CT — Sagittal slice 273/512 — image width 350 mm — 512x935 px
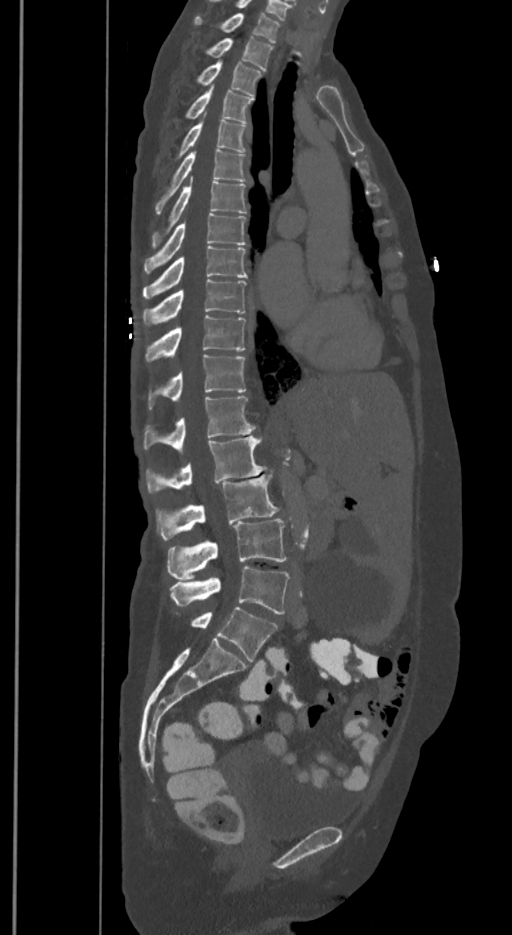 In these labels the spine has an L6, a sixth lumbar vertebra below L5.
<vertebrae><v name="T1" x1="194" y1="13" x2="278" y2="42"/><v name="T2" x1="209" y1="37" x2="272" y2="71"/><v name="T3" x1="199" y1="61" x2="261" y2="95"/><v name="T4" x1="187" y1="87" x2="252" y2="121"/><v name="T5" x1="180" y1="115" x2="246" y2="154"/><v name="T6" x1="156" y1="149" x2="245" y2="212"/><v name="T7" x1="153" y1="178" x2="246" y2="243"/><v name="T8" x1="145" y1="212" x2="245" y2="273"/><v name="T9" x1="143" y1="246" x2="246" y2="298"/><v name="T10" x1="143" y1="279" x2="246" y2="326"/><v name="T11" x1="145" y1="315" x2="245" y2="361"/><v name="T12" x1="149" y1="354" x2="245" y2="408"/><v name="L1" x1="143" y1="396" x2="255" y2="453"/><v name="L2" x1="146" y1="436" x2="265" y2="493"/><v name="L3" x1="156" y1="474" x2="278" y2="539"/><v name="L4" x1="168" y1="517" x2="285" y2="580"/><v name="L5" x1="171" y1="566" x2="288" y2="614"/><v name="L6" x1="191" y1="607" x2="277" y2="661"/></vertebrae>